CT · sagittal reformat · bone window · 512x980 px
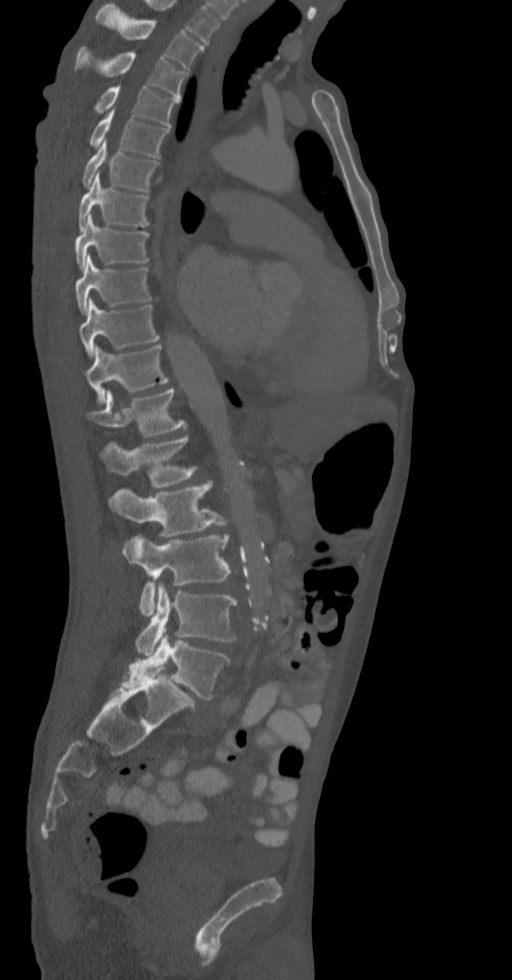
Each box is [x1, y1, x2, y2] in pixels: top-left corner, then bottom-right corner.
{"vertebrae":{"T2":[96,3,203,69],"T3":[76,47,185,98],"T4":[96,84,179,125],"T5":[90,110,168,157],"T6":[82,140,159,191],"T7":[79,172,148,231],"T8":[74,215,148,269],"T9":[74,254,151,314],"T10":[79,299,159,357],"T11":[85,344,169,403],"T12":[85,389,186,436],"L1":[100,436,195,487],"L2":[109,482,230,537],"L3":[123,535,232,616],"L4":[135,584,236,656],"L5":[121,634,230,698]}}